Computed tomography of the spine — 915 mm wide — sagittal view — 2 vertebrae labeled in this scan
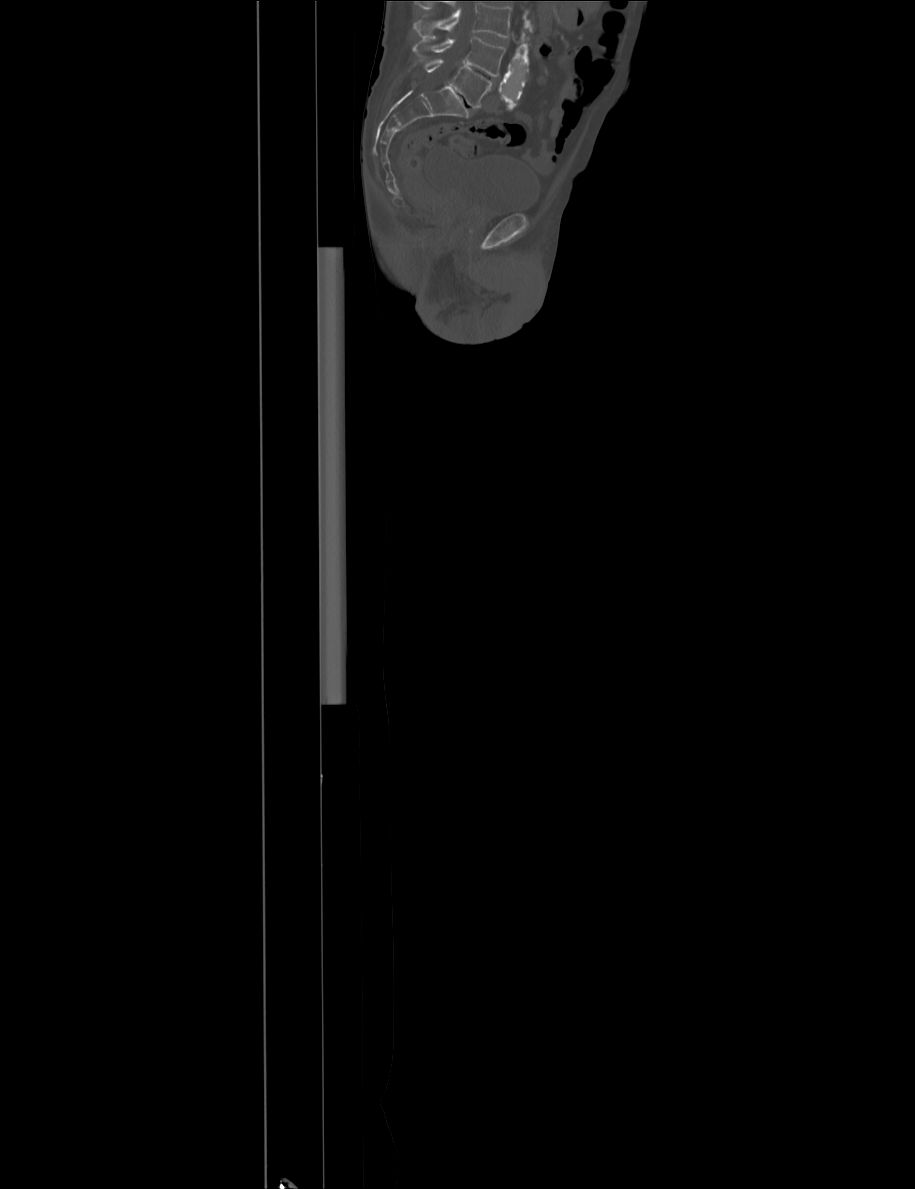 Coordinates as <box>x1,y1,x2,y2</box>.
Vertebrae that run past the top of the scan are left unlabeled.
L5: <box>423,59,491,107</box>
L4: <box>412,37,505,76</box>